Spine CT. Sagittal slice 190/512
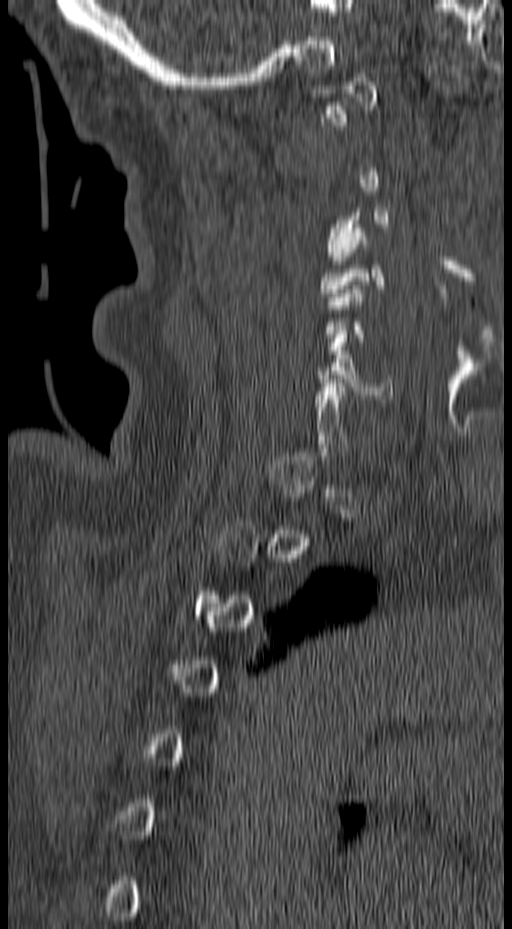
In the table, x1 and y1 are a box's top-left corner and x2 and y2 its bottom-right corner, in pixels.
A vertebra is boxed only from the first to the last slice where its cross-section is at least a third of its largest; slices outside that range leave it without a box.
| vertebra | x1 | y1 | x2 | y2 |
|---|---|---|---|---|
| C3 | 326 | 208 | 388 | 264 |
| C6 | 315 | 334 | 392 | 398 |